Spine CT · sagittal plane, index 236 · W/L 1800/400 HU · 512x933 px · 10 vertebrae labeled in this scan · part of the image has been replaced by a constant value
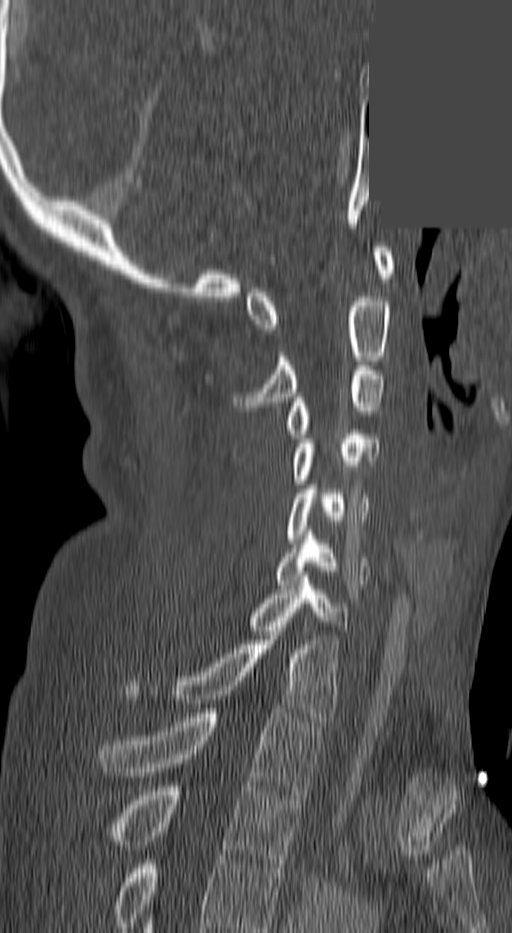 Each box given as x1,y1,x2,y2.
The highest labeled vertebra in this scan is C1; the lowest is T3.
C1: x1=246, y1=247, x2=395, y2=333
C2: x1=235, y1=293, x2=392, y2=406
C3: x1=283, y1=366, x2=384, y2=438
C4: x1=290, y1=430, x2=377, y2=484
C5: x1=288, y1=485, x2=370, y2=538
C6: x1=276, y1=535, x2=370, y2=584
C7: x1=246, y1=576, x2=348, y2=630
T1: x1=126, y1=631, x2=339, y2=721
T2: x1=100, y1=709, x2=321, y2=794
T3: x1=104, y1=786, x2=300, y2=868